CT spine — sagittal view
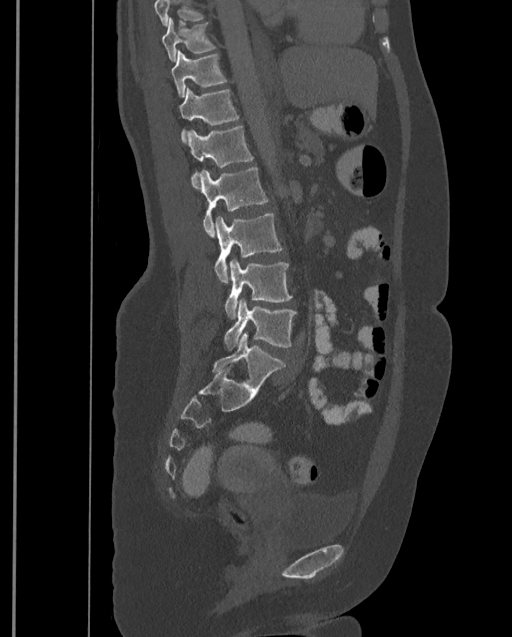

Boxes are (x1, y1, x2, y2) in pixels. Where the top of the scan cuts through a vertebra, that vertebra gets no label or box. The highest labeled vertebra in this scan is T9; the lowest is L4. Vertebrae labeled: T9 at (162, 17, 216, 61), T10 at (172, 50, 227, 97), T11 at (180, 88, 239, 142), T12 at (187, 126, 253, 187), L1 at (199, 166, 268, 237), L2 at (214, 212, 282, 283), L3 at (224, 259, 291, 319), L4 at (224, 299, 297, 349).